Computed tomography of the spine · sagittal view · scan covers 19 annotated vertebrae
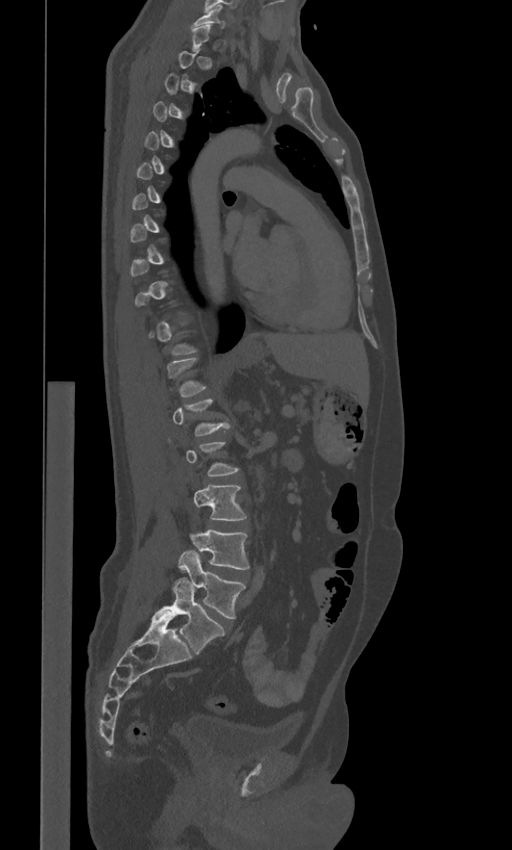
A vertebra is boxed only from the first to the last slice where its cross-section is at least a third of its largest; slices outside that range leave it without a box.
The labels name a sixth lumbar vertebra for this spine: L6, after L5.
<vertebrae><v name="C7" x1="192" y1="6" x2="224" y2="28"/><v name="L3" x1="193" y1="485" x2="246" y2="520"/><v name="L4" x1="189" y1="529" x2="249" y2="569"/><v name="L5" x1="179" y1="551" x2="245" y2="619"/><v name="L6" x1="156" y1="577" x2="224" y2="654"/></vertebrae>